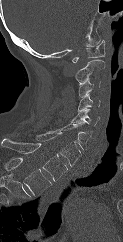
CT spine · sagittal reformat · 123x242 px · image width 123 mm. Each box given as x1,y1,x2,y2. Labels in this scan begin with C1 at the top and end with T1 at the bottom. Vertebrae labeled: C1 at x1=72, y1=40, x2=105, y2=62, C2 at x1=75, y1=59, x2=105, y2=82, C3 at x1=78, y1=78, x2=100, y2=97, C4 at x1=78, y1=93, x2=100, y2=112, C5 at x1=70, y1=109, x2=99, y2=126, C6 at x1=45, y1=124, x2=91, y2=149, C7 at x1=36, y1=132, x2=80, y2=166, T1 at x1=1, y1=138, x2=67, y2=181.